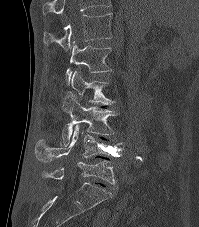 Computed tomography of the spine. sagittal view. W/L 1800/400 HU. 199x227 px. Bounding boxes as [x1, y1, x2, y2] in pixel coordinates. The highest labeled vertebra in this scan is T12; the lowest is L5. Vertebrae labeled: L5 at [43, 160, 116, 184], L4 at [34, 125, 125, 162], L3 at [61, 90, 119, 147], L2 at [71, 71, 113, 105], L1 at [65, 41, 112, 85], T12 at [42, 12, 113, 51].